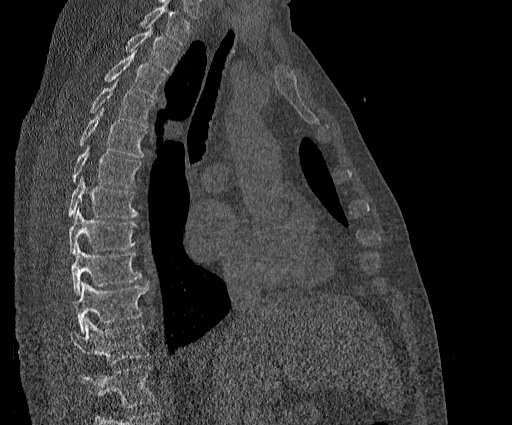
Computed tomography of the spine. sagittal view. Bone window (WL 400, WW 1800). Box edges are left/top/right/bottom in pixels.
Where the top of the scan cuts through a vertebra, that vertebra gets no label or box.
The highest labeled vertebra in this scan is T2; the lowest is T11.
| vertebra | x1 | y1 | x2 | y2 |
|---|---|---|---|---|
| T2 | 124 | 28 | 180 | 72 |
| T3 | 104 | 51 | 167 | 99 |
| T4 | 89 | 79 | 155 | 127 |
| T5 | 78 | 108 | 147 | 158 |
| T6 | 70 | 145 | 141 | 187 |
| T7 | 66 | 175 | 137 | 218 |
| T8 | 68 | 208 | 137 | 254 |
| T9 | 70 | 244 | 141 | 294 |
| T10 | 74 | 281 | 148 | 331 |
| T11 | 69 | 319 | 149 | 364 |